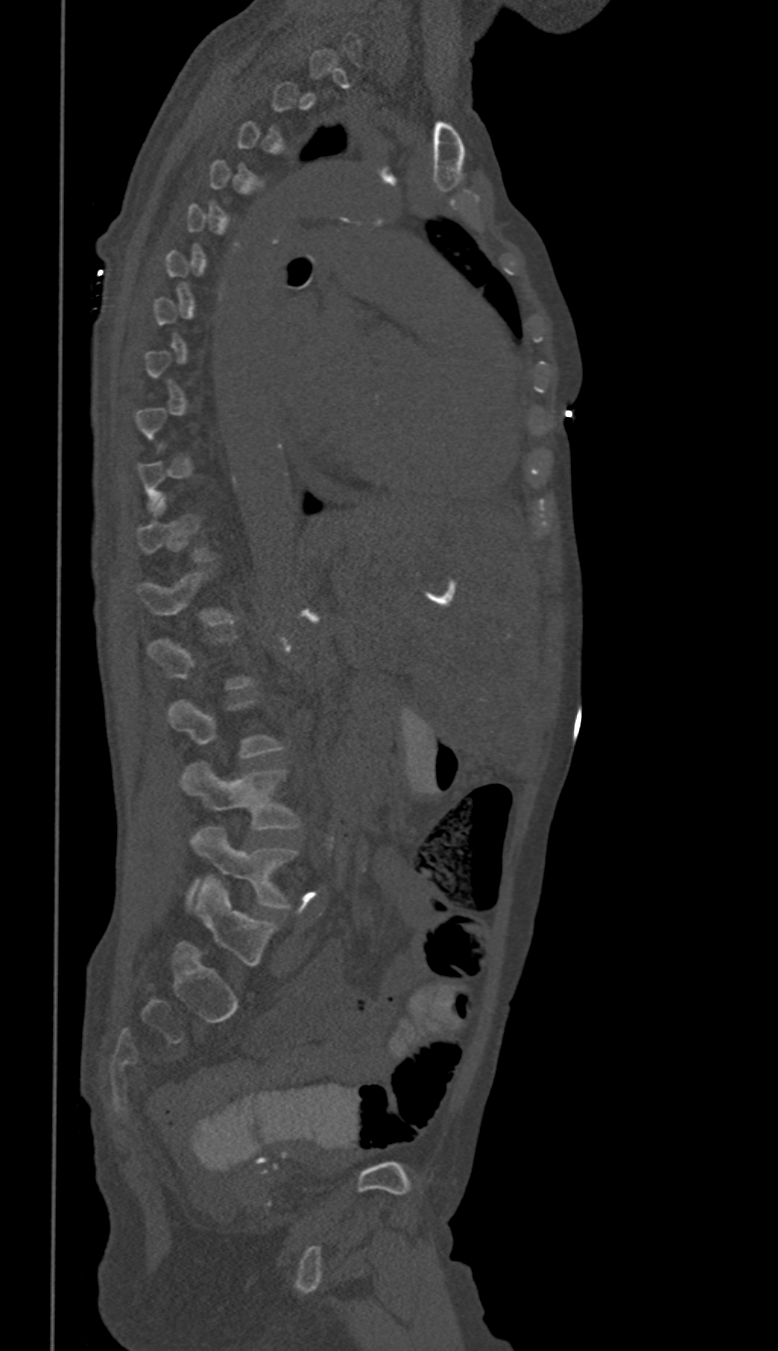
CT. sagittal view. Bone window (WL 400, WW 1800). 350 mm image width
Each vertebra is boxed only on the slices from the first to the last where its cross-section reaches a third of its largest, so a slice outside that range leaves it unboxed.
<vertebrae><v name="L5" x1="191" y1="827" x2="297" y2="908"/><v name="L4" x1="182" y1="763" x2="298" y2="828"/><v name="L3" x1="169" y1="700" x2="282" y2="757"/><v name="L1" x1="137" y1="572" x2="234" y2="624"/></vertebrae>